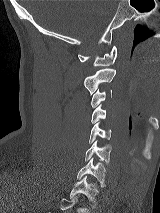

Spine computed tomography. sagittal reformat. 160 mm across the image. Each box given as x1,y1,x2,y2.
In this scan, the topmost labeled vertebra is C1 and the lowest is T1.
T1: x1=69, y1=175, x2=98, y2=201
C7: x1=77, y1=158, x2=105, y2=187
C6: x1=85, y1=140, x2=111, y2=164
C5: x1=89, y1=122, x2=111, y2=143
C4: x1=91, y1=104, x2=105, y2=123
C3: x1=91, y1=89, x2=111, y2=107
C2: x1=84, y1=68, x2=115, y2=94
C1: x1=78, y1=45, x2=117, y2=66